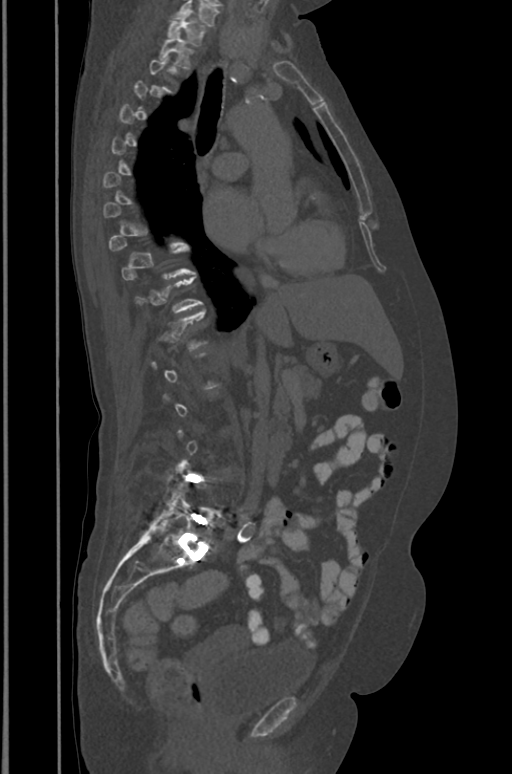 Spine computed tomography — sagittal view
Each row gives a vertebra's box as x1, y1, x2, y2 in pixels: top-left corner, then bottom-right corner.
Each vertebra is boxed only on the slices from the first to the last where its cross-section reaches a third of its largest, so a slice outside that range leaves it unboxed.
| vertebra | x1 | y1 | x2 | y2 |
|---|---|---|---|---|
| L5 | 153 | 489 | 215 | 547 |
| T2 | 160 | 33 | 192 | 69 |
| T1 | 168 | 13 | 205 | 45 |